Spine computed tomography. sagittal reformat. 512x780 px
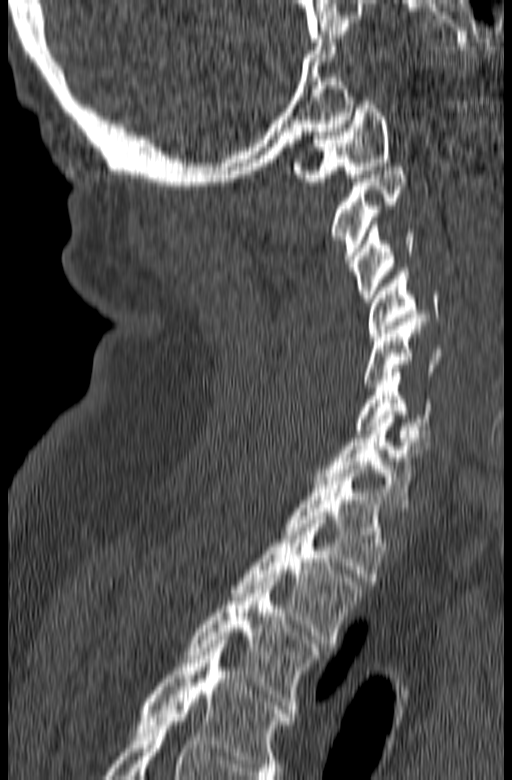

This scan's labels start at C1 at the top and end at T3 at the bottom.
<vertebrae><v name="C1" x1="293" y1="101" x2="391" y2="181"/><v name="C2" x1="330" y1="167" x2="407" y2="271"/><v name="C3" x1="352" y1="221" x2="416" y2="302"/><v name="C4" x1="367" y1="268" x2="441" y2="336"/><v name="C5" x1="364" y1="318" x2="441" y2="387"/><v name="C6" x1="355" y1="368" x2="432" y2="441"/><v name="C7" x1="314" y1="411" x2="426" y2="507"/><v name="T1" x1="282" y1="465" x2="388" y2="581"/><v name="T2" x1="230" y1="520" x2="364" y2="647"/><v name="T3" x1="185" y1="578" x2="319" y2="705"/></vertebrae>